Computed tomography of the spine; Sagittal slice 69/152
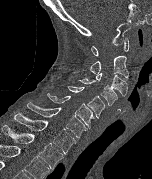 Columns x1, y1, x2, y2 give each box's top-left and bottom-right pixels.
| vertebra | x1 | y1 | x2 | y2 |
|---|---|---|---|---|
| C1 | 91 | 38 | 129 | 56 |
| C2 | 82 | 55 | 128 | 78 |
| C3 | 95 | 72 | 127 | 96 |
| C4 | 78 | 78 | 117 | 106 |
| C5 | 68 | 86 | 104 | 118 |
| C6 | 47 | 93 | 94 | 128 |
| C7 | 27 | 102 | 87 | 137 |
| T1 | 14 | 113 | 76 | 153 |
| T2 | 1 | 125 | 63 | 169 |